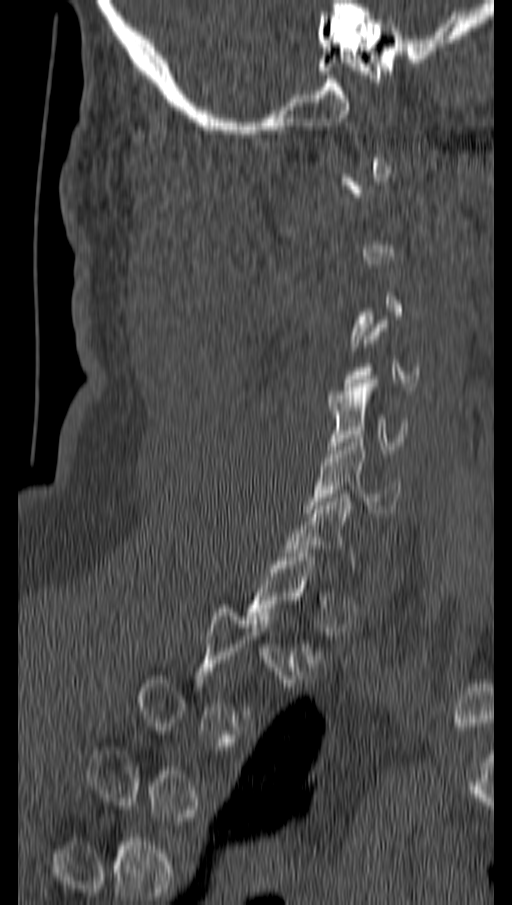
Spine computed tomography — image 162 mm wide — sagittal view — 512x905 px. Boxes: x1:y1:x2:y2 in pixels.
A vertebra gets a box only on the slices from the first to the last where its cross-section is at least a third of its largest; on a slice outside that range it gets none.
Vertebra bounding boxes:
- C5: 327:379:408:453
- C6: 305:435:401:513